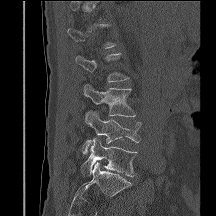 Spine CT; sagittal view
Boxes: x1:y1:x2:y2 in pixels.
A vertebra gets a box only on the slices from the first to the last where its cross-section is at least a third of its largest; on a slice outside that range it gets none.
Vertebra bounding boxes:
- L2: 75:53:129:82
- L3: 83:84:135:116
- L4: 82:111:141:154
- L5: 81:138:137:176